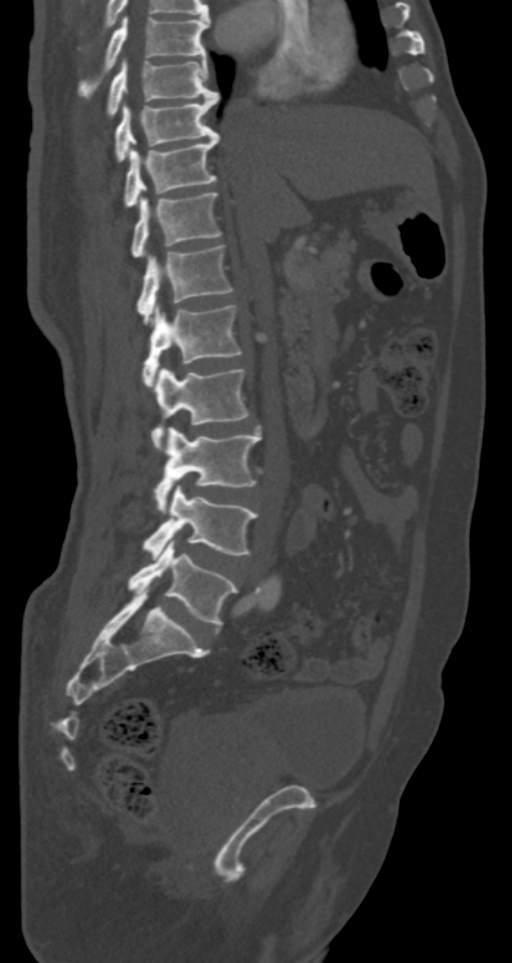 Computed tomography of the spine; 287 mm image width; sagittal reformat; 512x963 px
Each box given as x1,y1,x2,y2.
T7: x1=78, y1=17, x2=209, y2=99
T8: x1=105, y1=60, x2=218, y2=116
T9: x1=114, y1=94, x2=218, y2=161
T10: x1=123, y1=135, x2=218, y2=208
T11: x1=132, y1=192, x2=222, y2=257
T12: x1=137, y1=244, x2=234, y2=324
L1: x1=142, y1=303, x2=243, y2=387
L2: x1=151, y1=367, x2=248, y2=452
L3: x1=155, y1=428, x2=261, y2=515
L4: x1=142, y1=485, x2=257, y2=558
L5: x1=128, y1=541, x2=238, y2=627